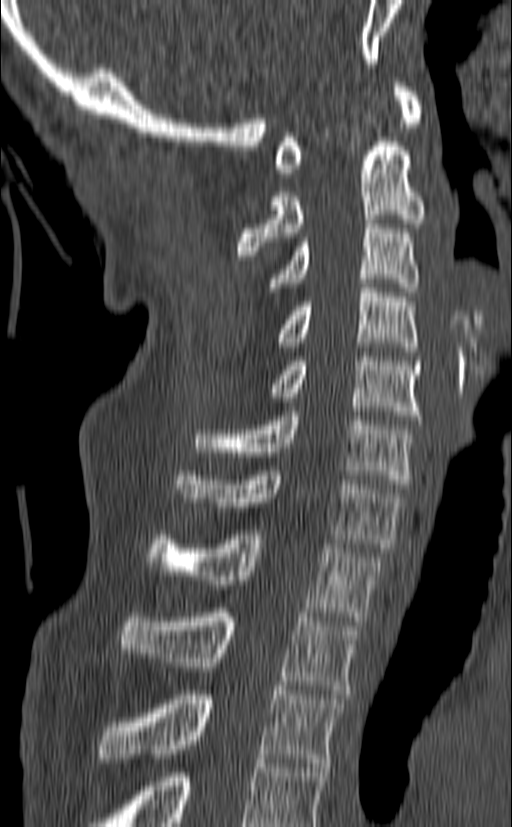 CT spine; sagittal view; Bone window (WL 400, WW 1800)
Bounding boxes as [x1, y1, x2, y2] in pixel coordinates.
Labels in this scan begin with C1 at the top and end with T3 at the bottom.
C1: [275, 78, 424, 177]
C2: [237, 137, 425, 255]
C3: [268, 219, 419, 292]
C4: [279, 283, 417, 351]
C5: [268, 352, 421, 420]
C6: [195, 411, 414, 488]
C7: [177, 466, 403, 552]
T1: [148, 530, 384, 621]
T2: [118, 608, 359, 694]
T3: [96, 686, 344, 767]